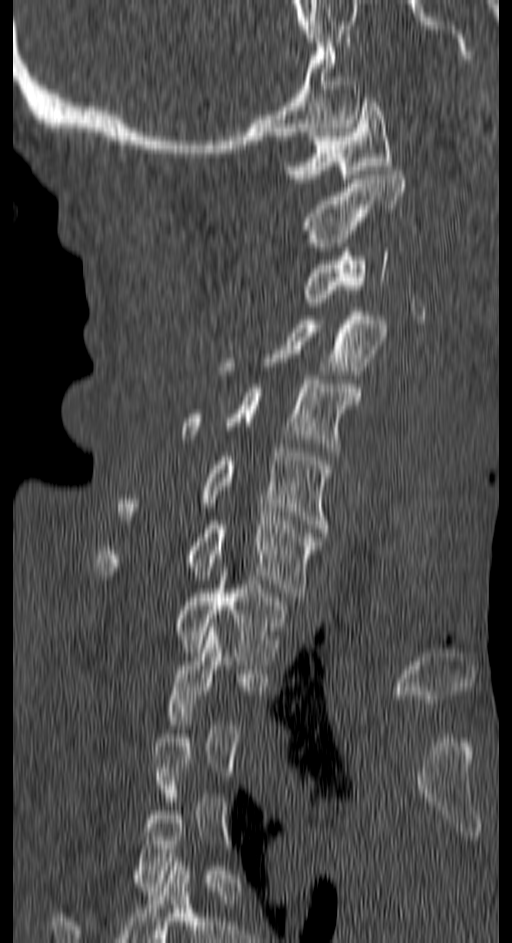 Computed tomography of the spine. sagittal view. 512x943 px
Each row gives a vertebra's box as x1, y1, x2, y2 in pixels: top-left corner, then bottom-right corner.
A vertebra gets a box only on the slices from the first to the last where its cross-section is at least a third of its largest; on a slice outside that range it gets none.
| vertebra | x1 | y1 | x2 | y2 |
|---|---|---|---|---|
| C1 | 285 | 98 | 393 | 182 |
| C2 | 302 | 166 | 403 | 251 |
| C3 | 302 | 247 | 388 | 302 |
| C4 | 222 | 311 | 386 | 374 |
| C5 | 183 | 375 | 359 | 456 |
| C6 | 117 | 448 | 331 | 532 |
| C7 | 93 | 516 | 321 | 596 |
| T1 | 175 | 576 | 284 | 665 |